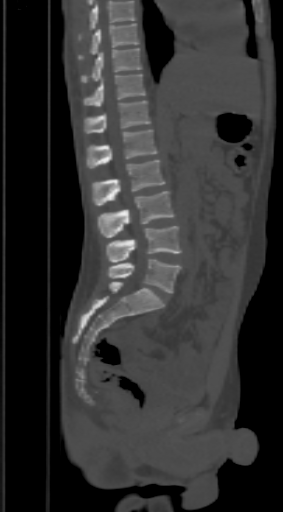 CT — sagittal view — bone window — 303 mm across the image
Boxes below are [x1, y1, x2, y2] in pixels.
Where the top of the scan cuts through a vertebra, that vertebra gets no label or box.
{"vertebrae":{"T9":[78,23,139,60],"T10":[81,48,142,83],"T11":[84,73,145,107],"T12":[84,101,150,133],"L1":[87,129,156,168],"L2":[92,159,164,205],"L3":[98,191,173,237],"L4":[106,226,181,262],"L5":[109,259,181,293]}}